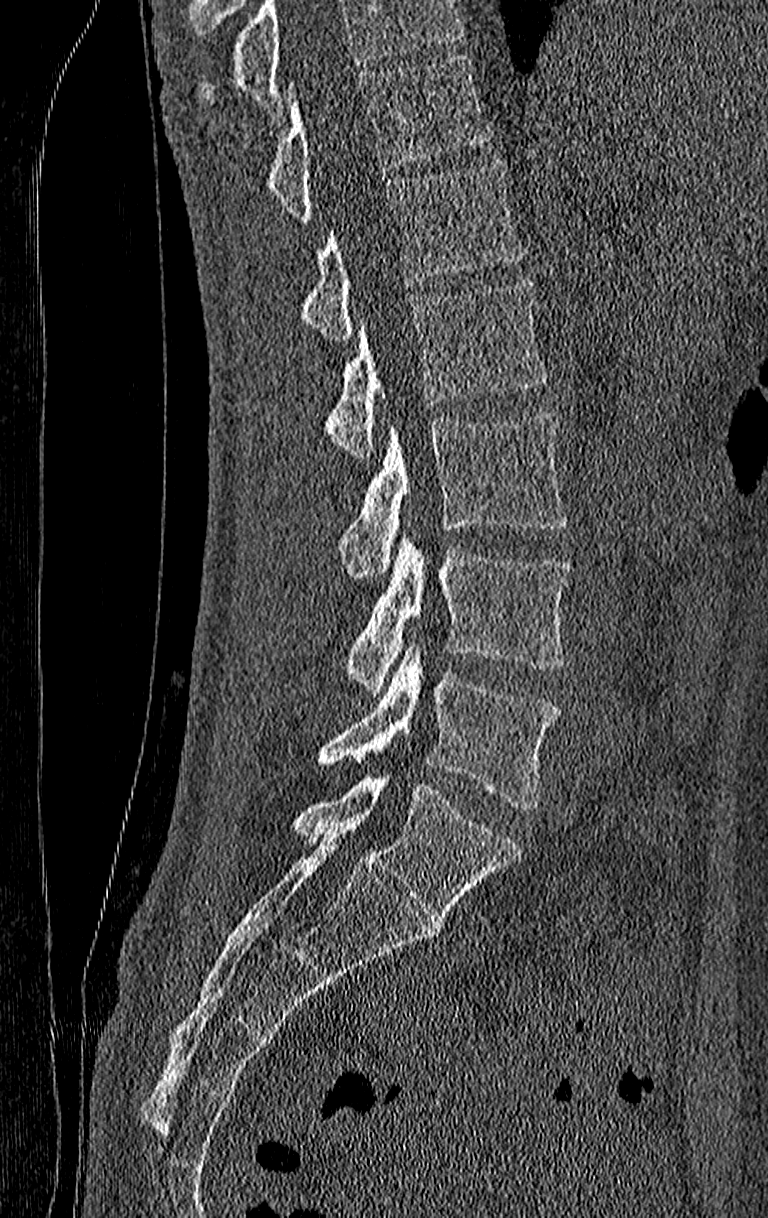
Spine computed tomography; sagittal view; 768x1218 px; 210 mm image width
Boxes below are [x1, y1, x2, y2] in pixels.
Vertebrae that run past the top of the scan are left unlabeled.
This scan's labels start at T11 at the top and end at L4 at the bottom.
{"vertebrae":{"T11":[266,56,488,220],"T12":[299,158,524,340],"L1":[324,278,546,457],"L2":[339,410,568,578],"L3":[346,538,572,695],"L4":[317,645,561,809]}}